Spine computed tomography — Sagittal slice 438/768 — Bone window (WL 400, WW 1800) — scan covers 6 annotated vertebrae — 210 mm across the image
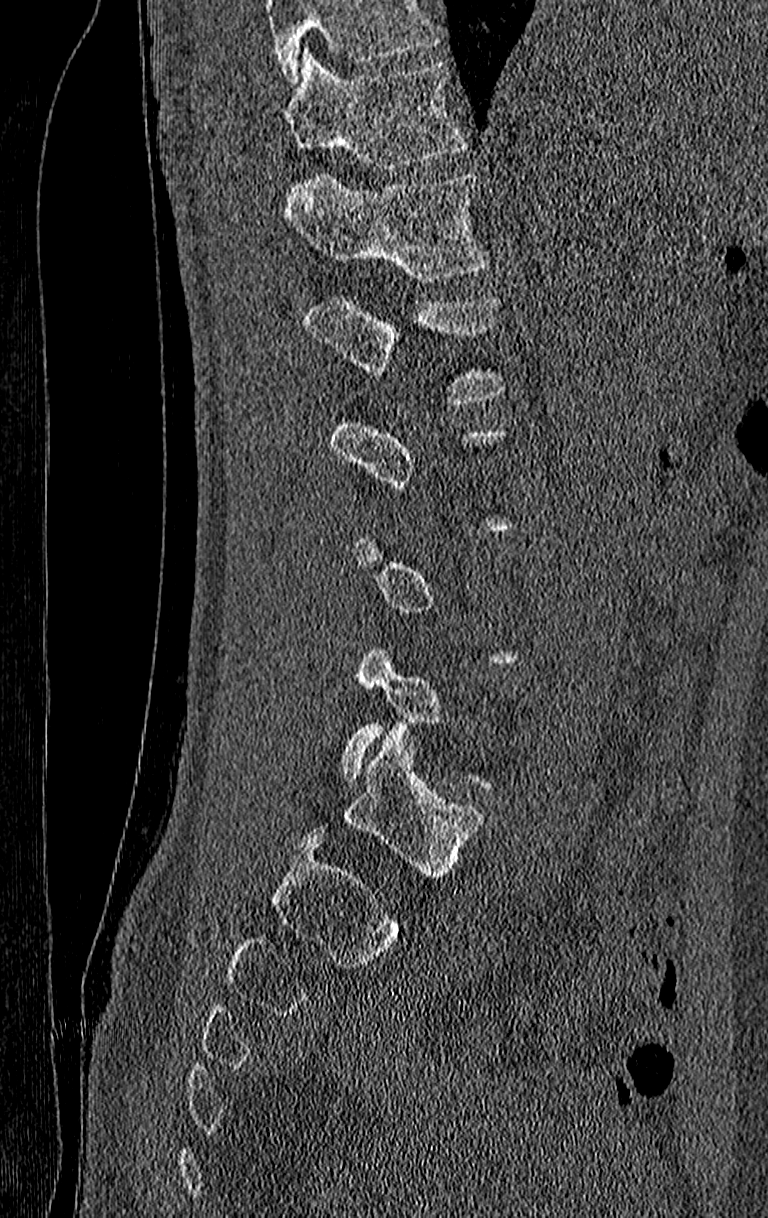 Box values are [left, top, right, bottom] in pixels.
A vertebra is boxed only from the first to the last slice where its cross-section is at least a third of its largest; slices outside that range leave it without a box.
A vertebra cut off by the top edge of the scan is not labeled and has no box.
{"vertebrae":{"L1":[302,298,502,402],"T12":[284,173,488,282],"T11":[280,48,466,169]}}